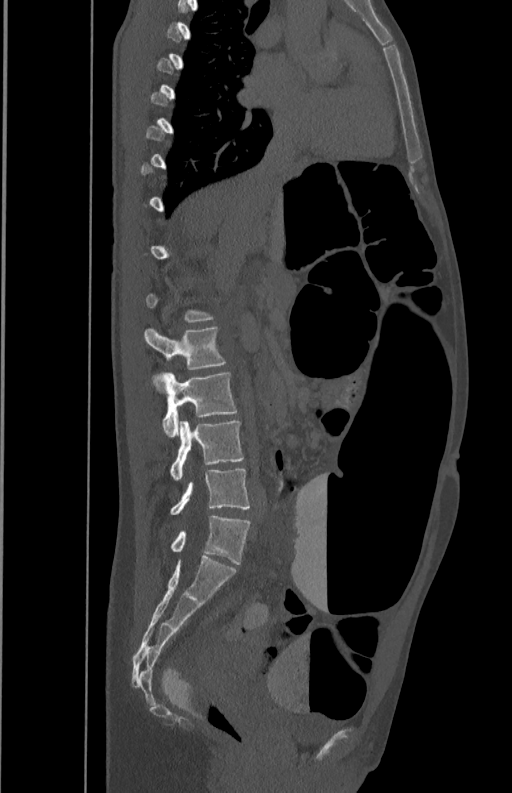 CT spine — sagittal reformat — bone-window reconstruction. Bounding boxes as [x1, y1, x2, y2] in pixel coordinates. A vertebra gets a box only on the slices from the first to the last where its cross-section is at least a third of its largest; on a slice outside that range it gets none. Vertebrae labeled: L2 at [145, 328, 226, 379], L3 at [162, 373, 237, 436], L4 at [169, 421, 243, 480], L5 at [171, 467, 250, 514].